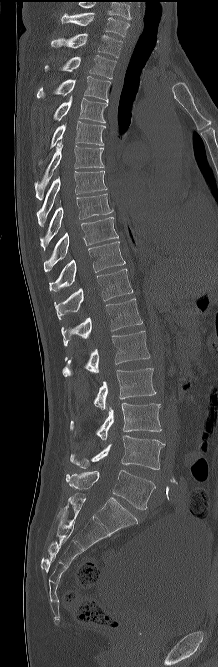 Computed tomography of the spine. sagittal view. bone-window reconstruction
Coordinates as <box>x1,y1,x2,y2</box>.
In this scan, the topmost labeled vertebra is C7 and the lowest is L5.
L5: <box>66,470,155,509</box>
L4: <box>70,435,165,469</box>
L3: <box>70,402,161,439</box>
L2: <box>94,368,156,410</box>
L1: <box>62,331,150,376</box>
T12: <box>61,298,142,346</box>
T11: <box>54,268,133,319</box>
T10: <box>49,241,125,291</box>
T9: <box>44,217,118,271</box>
T8: <box>39,194,113,249</box>
T7: <box>36,170,106,227</box>
T6: <box>34,140,104,200</box>
T5: <box>37,121,105,165</box>
T4: <box>53,95,107,122</box>
T3: <box>37,76,110,102</box>
T2: <box>45,55,116,78</box>
T1: <box>51,33,122,57</box>
C7: <box>61,12,129,36</box>